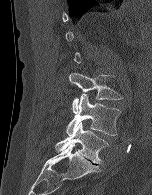

Spine CT — sagittal view
Boxes below are [x1, y1, x2, y2] in pixels.
A vertebra gets a box only on the slices from the first to the last where its cross-section is at least a third of its largest; on a slice outside that range it gets none.
{"vertebrae":{"L3":[69,72,123,113],"L4":[66,94,121,135],"L5":[55,122,109,164]}}